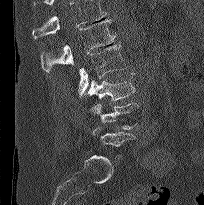
Spine CT · sagittal view

Boxes: x1 y1 x2 y2 (pixel coords, space-separated).
Where the top of the scan cuts through a vertebra, that vertebra gets no label or box.
L1: 40 19 115 72
L2: 78 44 126 96
L3: 87 72 135 100
L4: 90 102 138 130
L5: 92 126 135 156